CT spine — sagittal view — 512x594 px
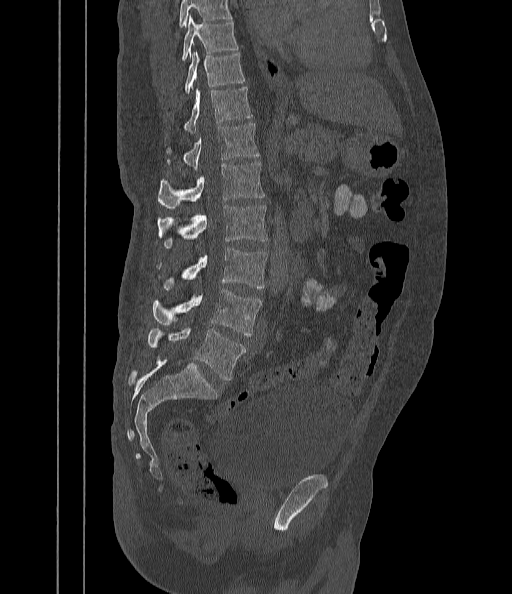

Each row gives a vertebra's box as x1, y1, x2, y2 in pixels: top-left corner, then bottom-right corner.
Vertebrae that run past the top of the scan are left unlabeled.
| vertebra | x1 | y1 | x2 | y2 |
|---|---|---|---|---|
| T9 | 182 | 16 | 238 | 60 |
| T10 | 184 | 50 | 244 | 95 |
| T11 | 184 | 87 | 251 | 133 |
| T12 | 168 | 123 | 258 | 169 |
| L1 | 157 | 162 | 264 | 209 |
| L2 | 157 | 205 | 268 | 247 |
| L3 | 163 | 248 | 267 | 289 |
| L4 | 153 | 290 | 261 | 336 |
| L5 | 148 | 328 | 246 | 380 |